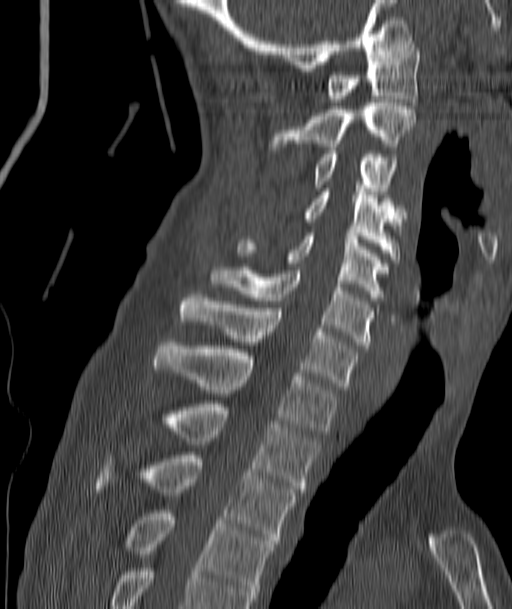 CT; sagittal view; W/L 1800/400 HU
Boxes: x1:y1:x2:y2 in pixels.
Vertebra bounding boxes:
- T4: 124:510:274:601
- T3: 94:452:296:543
- T2: 160:400:317:492
- T1: 154:342:337:434
- C7: 179:291:356:389
- C6: 212:267:372:348
- C5: 236:233:383:300
- C4: 305:188:402:259
- C3: 313:151:394:191
- C2: 272:103:416:150
- C1: 327:41:419:102